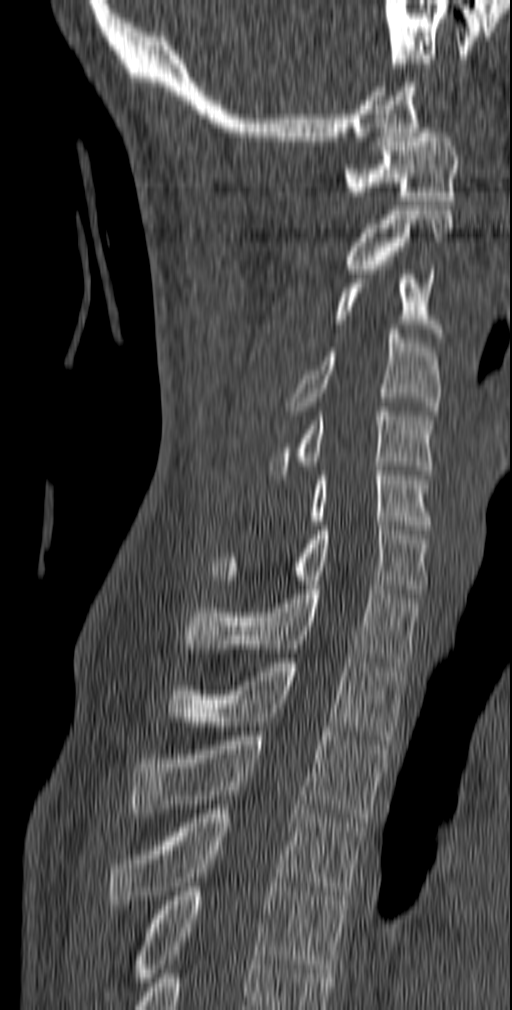 Computed tomography of the spine · sagittal reformat · 140 mm wide
Boxes: x1:y1:x2:y2 in pixels.
Vertebra bounding boxes:
- T5: 104:887:348:1000
- T4: 107:809:366:904
- T3: 129:731:388:822
- T2: 166:658:408:740
- T1: 184:585:421:666
- C7: 210:521:428:593
- C6: 307:466:432:529
- C5: 269:407:436:474
- C4: 285:325:441:415
- C3: 334:270:444:342
- C2: 345:210:454:273
- C1: 344:128:459:205